Spine computed tomography; sagittal view; W/L 1800/400 HU
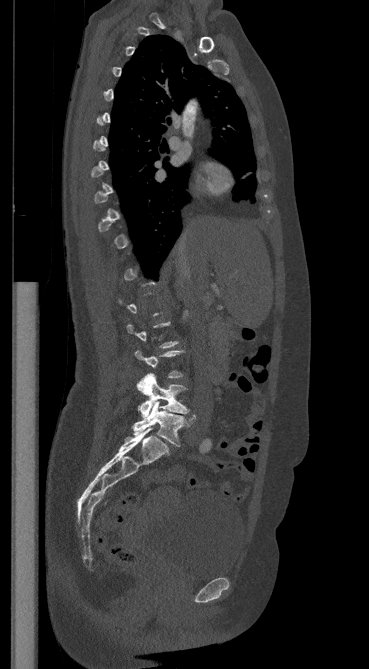
Each box given as x1,y1,x2,y2.
Each vertebra is boxed only on the slices from the first to the last where its cross-section reaches a third of its largest, so a slice outside that range leaves it unboxed.
Vertebra bounding boxes:
- L5: x1=132, y1=401, x2=195, y2=446
- L4: x1=137, y1=373, x2=188, y2=417